Spine CT. sagittal view. bone window. image 137 mm wide
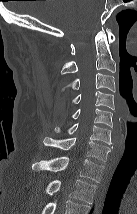

Boxes: x1:y1:x2:y2 in pixels. This scan's labels start at C1 at the top and end at T2 at the bottom. 9 vertebrae labeled — C1 at 70:28:115:54; C2 at 60:27:115:74; C3 at 61:73:115:92; C4 at 72:91:114:111; C5 at 72:108:112:128; C6 at 54:123:111:144; C7 at 43:137:112:161; T1 at 32:156:104:182; T2 at 46:179:96:203.